Spine CT — sagittal reformat
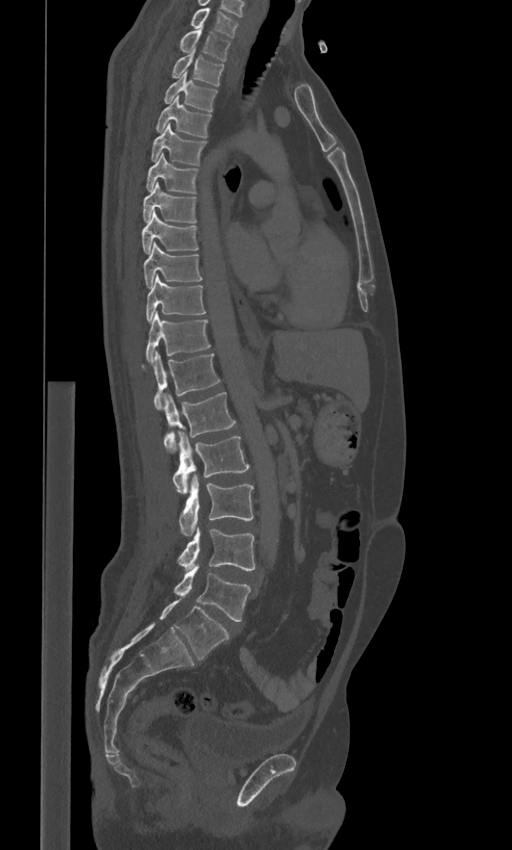
Coordinates as <box>x1,y1,x2,y2</box>. These labels give the spine a sixth lumbar vertebra, L6, below L5. Vertebrae labeled: C7 at <box>189,8,238,37</box>, T1 at <box>180,29,231,60</box>, T2 at <box>171,53,224,86</box>, T3 at <box>163,72,217,111</box>, T4 at <box>155,97,212,137</box>, T5 at <box>150,123,206,164</box>, T6 at <box>146,153,198,194</box>, T7 at <box>142,183,197,223</box>, T8 at <box>142,211,199,254</box>, T9 at <box>143,242,202,288</box>, T10 at <box>146,275,206,319</box>, T11 at <box>146,311,210,362</box>, T12 at <box>154,352,220,410</box>, L1 at <box>164,392,236,453</box>, L2 at <box>173,433,249,493</box>, L3 at <box>179,475,253,536</box>, L4 at <box>178,526,254,570</box>, L5 at <box>174,567,250,621</box>, L6 at <box>159,599,229,660</box>.